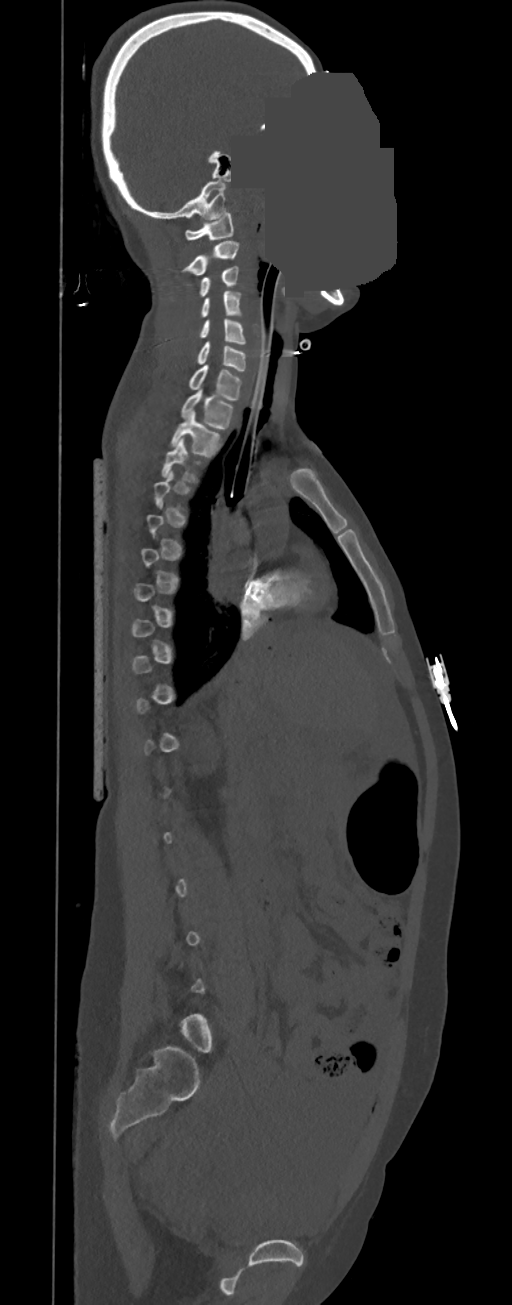 Spine computed tomography; sagittal view; 512x1305 px; an area of the scan was removed and filled with constant pixels
Boxes below are [x1, y1, x2, y2] in pixels.
Each vertebra is boxed only on the slices from the first to the last where its cross-section reaches a third of its largest, so a slice outside that range leaves it unboxed.
{"vertebrae":{"C1":[185,212,233,240],"C2":[181,241,239,275],"C3":[200,266,239,297],"C4":[202,291,240,316],"C5":[200,319,245,344],"C6":[197,341,246,370],"C7":[190,365,240,401],"T1":[181,388,233,430],"T2":[171,411,218,457],"T3":[162,437,196,481]}}